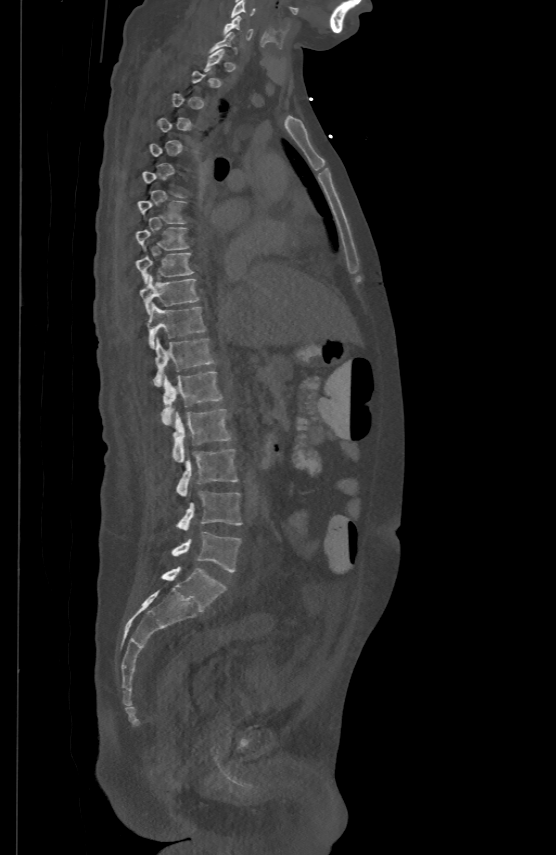

Spine CT — sagittal view — bone window — 556x855 px

Columns x1, y1, x2, y2 give each box's top-left and bottom-right pixels.
Not every vertebra on this slice has a box: a vertebra is boxed only from the first to the last slice where its cross-section is at least a third of its largest, and this slice is outside that range for at least one of them.
| vertebra | x1 | y1 | x2 | y2 |
|---|---|---|---|---|
| C5 | 230 | 0 | 255 | 17 |
| C6 | 224 | 14 | 252 | 38 |
| T7 | 138 | 200 | 187 | 222 |
| T8 | 136 | 226 | 189 | 249 |
| T9 | 136 | 252 | 193 | 282 |
| T10 | 140 | 274 | 199 | 312 |
| T11 | 148 | 303 | 205 | 348 |
| T12 | 153 | 337 | 214 | 385 |
| L1 | 161 | 371 | 223 | 423 |
| L2 | 173 | 407 | 230 | 462 |
| L3 | 176 | 450 | 238 | 495 |
| L4 | 176 | 491 | 241 | 530 |
| L5 | 171 | 532 | 241 | 572 |